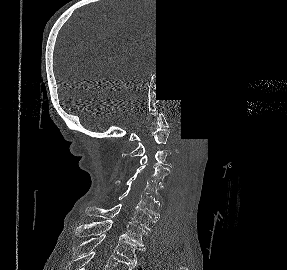 CT. 287 mm across the image. sagittal reformat. a region is blanked to uniform black, ending in a straight edge. Boxes: x1:y1:x2:y2 in pixels.
Vertebra bounding boxes:
- T2: 77:234:145:264
- T1: 75:220:146:248
- C7: 85:203:157:231
- C6: 118:187:159:218
- C5: 115:173:162:205
- C4: 135:163:169:188
- C3: 140:150:171:167
- C2: 122:129:169:156
- C1: 129:113:168:140